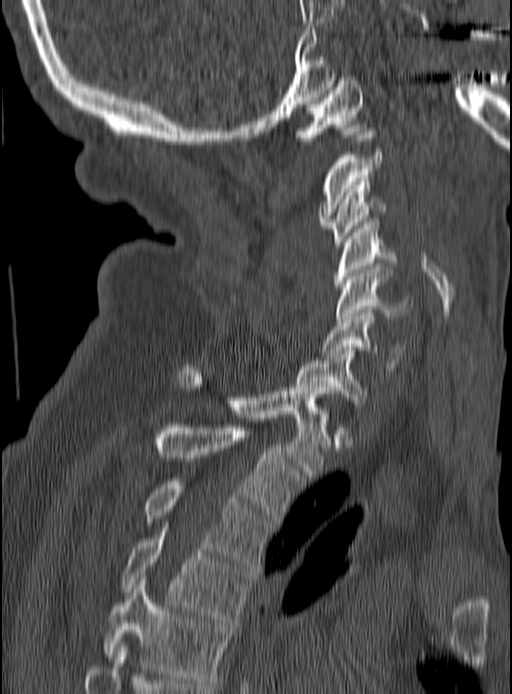 Spine CT. sagittal view. Bone window (WL 400, WW 1800). 512x694 px. the image spans 190 mm across
Box values are [left, top, right, bottom] in pixels.
{"vertebrae":{"C1":[293,81,365,144],"C2":[319,128,383,228],"C3":[327,182,386,245],"C4":[335,222,399,289],"C5":[335,266,413,322],"C6":[321,310,406,370],"C7":[295,350,369,403],"T1":[179,364,329,477],"T2":[157,424,302,521],"T3":[144,482,272,568],"T4":[122,525,250,622],"T5":[103,579,229,686]}}